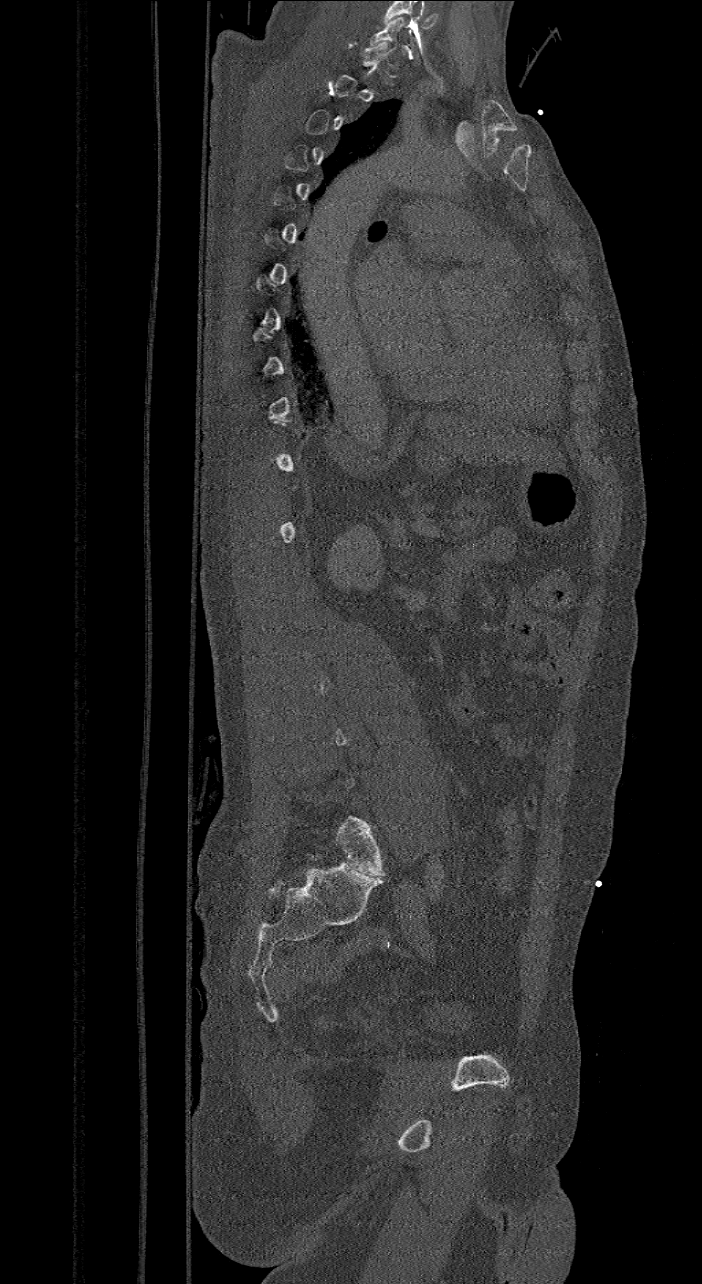 Spine computed tomography. 421 mm image width. sagittal view. bone window
Boxes below are [x1, y1, x2, y2] in pixels.
A vertebra is boxed only from the first to the last slice where its cross-section is at least a third of its largest; slices outside that range leave it without a box.
In these labels the spine has an L6, a sixth lumbar vertebra below L5.
{"vertebrae":{"C7":[369,16,406,53],"L6":[337,816,385,876]}}